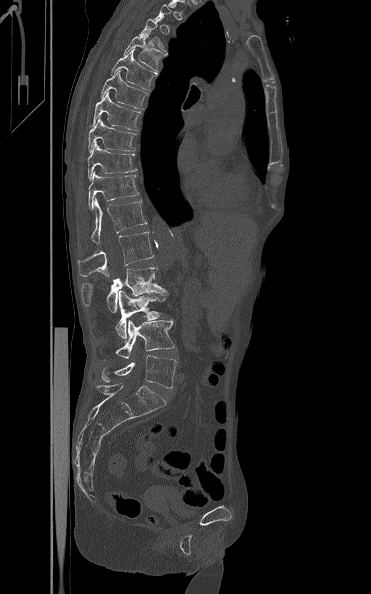 Spine computed tomography · sagittal reformat · 371x594 px
A vertebra is boxed only from the first to the last slice where its cross-section is at least a third of its largest; slices outside that range leave it without a box.
<vertebrae><v name="T5" x1="122" y1="33" x2="165" y2="73"/><v name="T6" x1="110" y1="48" x2="157" y2="91"/><v name="T7" x1="101" y1="70" x2="147" y2="109"/><v name="T8" x1="92" y1="93" x2="141" y2="132"/><v name="T9" x1="88" y1="117" x2="136" y2="151"/><v name="T10" x1="87" y1="142" x2="137" y2="180"/><v name="T11" x1="88" y1="172" x2="139" y2="210"/><v name="T12" x1="91" y1="197" x2="147" y2="243"/><v name="L1" x1="78" y1="231" x2="154" y2="276"/><v name="L2" x1="81" y1="267" x2="168" y2="312"/><v name="L3" x1="115" y1="290" x2="165" y2="339"/><v name="L4" x1="103" y1="319" x2="175" y2="360"/><v name="L5" x1="101" y1="355" x2="177" y2="388"/></vertebrae>